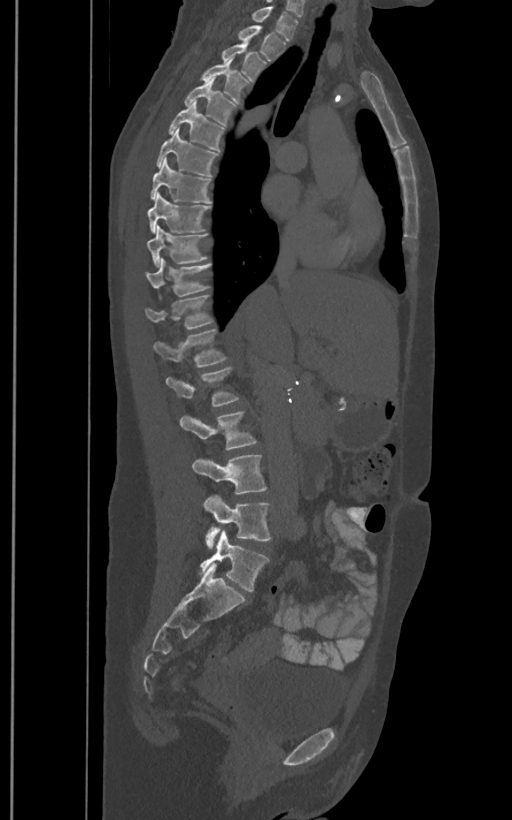
CT spine — the image is 400 mm wide — sagittal reformat — 512x820 px. Bounding boxes as [x1, y1, x2, y2] in pixel coordinates.
The labels name a sixth lumbar vertebra for this spine: L6, after L5.
Vertebra bounding boxes:
- L6: [197, 530, 269, 591]
- L5: [203, 494, 271, 549]
- L4: [192, 454, 266, 494]
- L3: [179, 411, 257, 449]
- L2: [166, 367, 239, 406]
- L1: [153, 328, 227, 366]
- T12: [144, 294, 214, 330]
- T11: [146, 257, 211, 296]
- T10: [147, 225, 209, 267]
- T9: [147, 194, 211, 233]
- T8: [150, 159, 211, 203]
- T7: [156, 128, 219, 176]
- T6: [168, 101, 225, 151]
- T5: [183, 77, 237, 126]
- T4: [200, 58, 251, 104]
- T3: [220, 43, 266, 81]
- T2: [237, 25, 286, 60]
- T1: [251, 6, 298, 42]